Computed tomography of the spine; sagittal plane, index 42
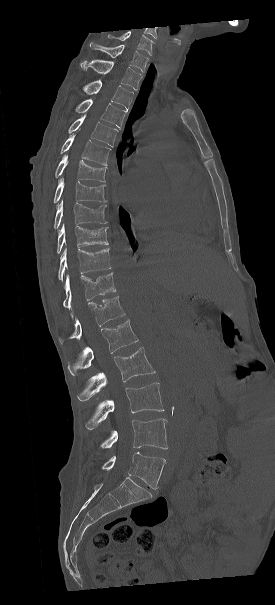
Boxes: x1 y1 x2 y2 (pixel coords, space-separated). The highest labeled vertebra in this scan is C7; the lowest is L5. The labeled vertebrae in this slice are: C7 at 90 42 148 71, T1 at 80 59 142 90, T2 at 83 79 133 110, T3 at 76 98 127 129, T4 at 68 115 118 146, T5 at 60 134 111 165, T6 at 55 155 106 181, T7 at 53 178 106 203, T8 at 53 200 106 229, T9 at 57 224 108 253, T10 at 59 248 110 279, T11 at 63 273 116 309, T12 at 58 296 125 343, L1 at 67 320 138 375, L2 at 76 347 155 401, L3 at 84 383 164 429, L4 at 93 419 167 454, L5 at 101 452 165 489.